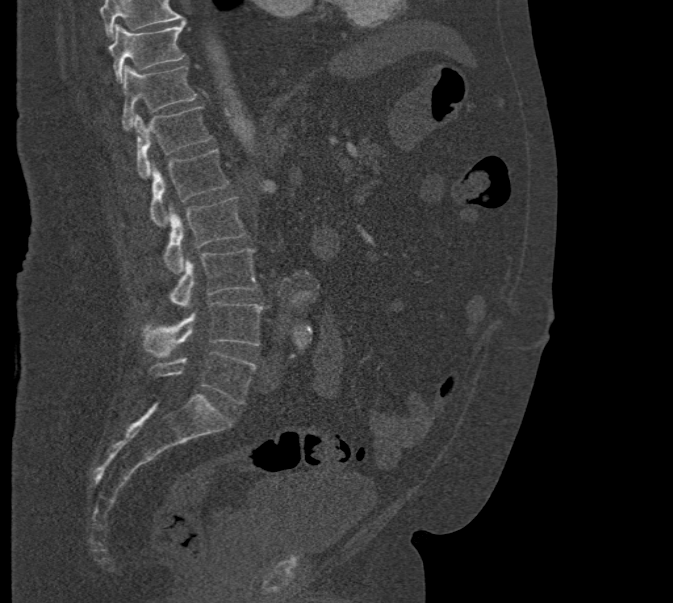
Spine CT — sagittal view — bone window — 673x603 px — image width 471 mm
Boxes below are [x1, y1, x2, y2] in pixels.
A vertebra cut off by the top edge of the scan is not labeled and has no box.
{"vertebrae":{"T10":[109,22,184,82],"T11":[121,66,196,129],"T12":[134,106,212,178],"L1":[150,149,229,227],"L2":[163,198,245,272],"L3":[168,249,258,307],"L4":[142,302,263,357],"L5":[148,352,257,404]}}